Spine computed tomography · the image is 380 mm wide · sagittal plane, index 204 · 18 vertebrae labeled in this scan
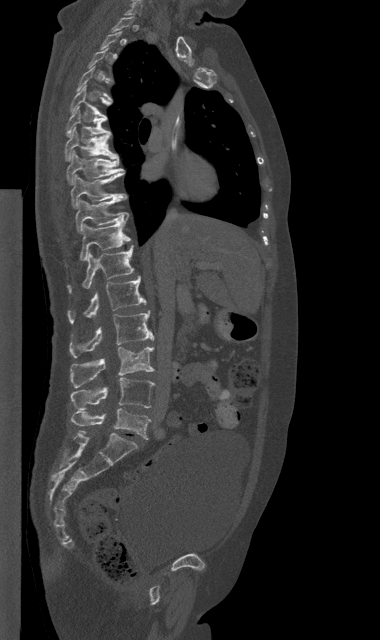

Each box given as x1,y1,x2,y2. A vertebra gets a box only on the slices from the first to the last where its cross-section is at least a third of its largest; on a slice outside that range it gets none. Vertebrae labeled: T5 at x1=71, y1=85, x2=111, y2=117, T6 at x1=66, y1=107, x2=110, y2=136, T7 at x1=65, y1=128, x2=119, y2=160, T8 at x1=67, y1=151, x2=124, y2=184, T9 at x1=71, y1=172, x2=127, y2=208, T10 at x1=75, y1=198, x2=128, y2=233, T11 at x1=80, y1=220, x2=130, y2=260, T12 at x1=68, y1=245, x2=133, y2=292, L1 at x1=68, y1=276, x2=145, y2=323, L2 at x1=69, y1=311, x2=153, y2=357, L3 at x1=70, y1=347, x2=154, y2=387, L4 at x1=71, y1=377, x2=154, y2=409, L5 at x1=71, y1=408, x2=150, y2=439.